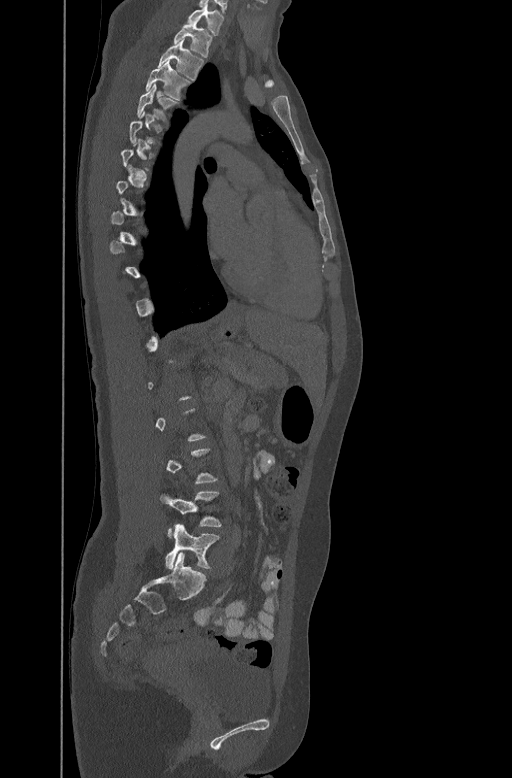 CT. sagittal view. 447 mm across the image
Boxes are (x1, y1, x2, y2) in pixels.
A vertebra is boxed only from the first to the last slice where its cross-section is at least a third of its largest; slices outside that range leave it without a box.
C7: (188, 5, 223, 34)
T1: (174, 23, 212, 56)
T2: (158, 39, 203, 78)
T3: (145, 60, 190, 98)
T4: (136, 84, 176, 118)
L4: (160, 491, 221, 534)
L5: (165, 524, 219, 569)